Spine computed tomography. sagittal view. 9 vertebrae labeled in this scan
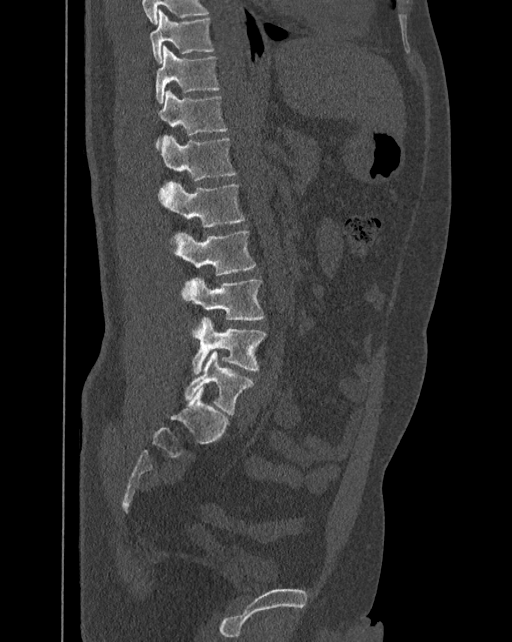 These labels give the spine a sixth lumbar vertebra, L6, below L5.
<vertebrae><v name="T10" x1="150" y1="9" x2="214" y2="62"/><v name="T11" x1="155" y1="46" x2="220" y2="104"/><v name="T12" x1="157" y1="89" x2="227" y2="147"/><v name="L1" x1="160" y1="135" x2="237" y2="180"/><v name="L2" x1="159" y1="181" x2="244" y2="227"/><v name="L3" x1="174" y1="230" x2="256" y2="275"/><v name="L4" x1="181" y1="277" x2="264" y2="320"/><v name="L5" x1="192" y1="316" x2="267" y2="374"/><v name="L6" x1="184" y1="350" x2="254" y2="415"/></vertebrae>